CT — sagittal reformat — W/L 1800/400 HU
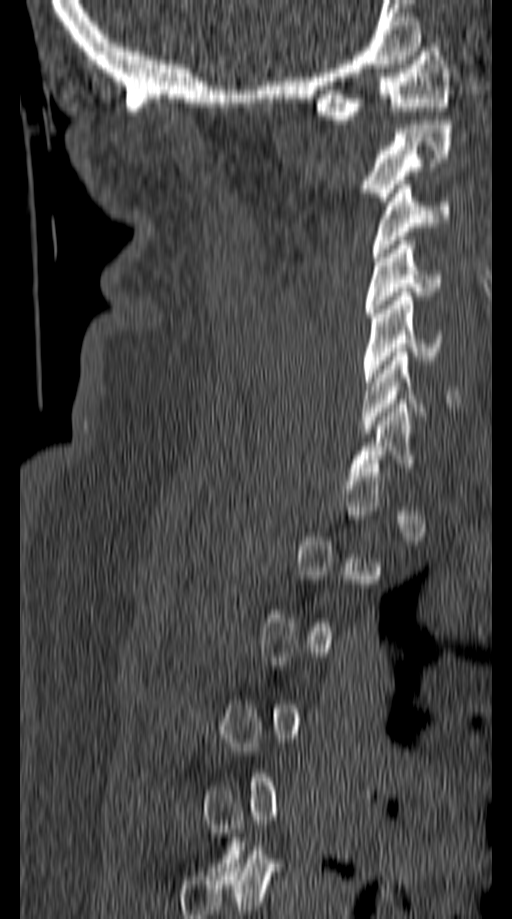
Each box given as x1,y1,x2,y2.
Not every vertebra on this slice has a box: a vertebra is boxed only from the first to the last slice where its cross-section is at least a third of its largest, and this slice is outside that range for at least one of them.
| vertebra | x1 | y1 | x2 | y2 |
|---|---|---|---|---|
| C1 | 315 | 43 | 450 | 119 |
| C2 | 362 | 120 | 450 | 201 |
| C3 | 372 | 180 | 450 | 257 |
| C4 | 365 | 241 | 440 | 317 |
| C5 | 362 | 292 | 443 | 386 |
| C6 | 362 | 352 | 458 | 433 |